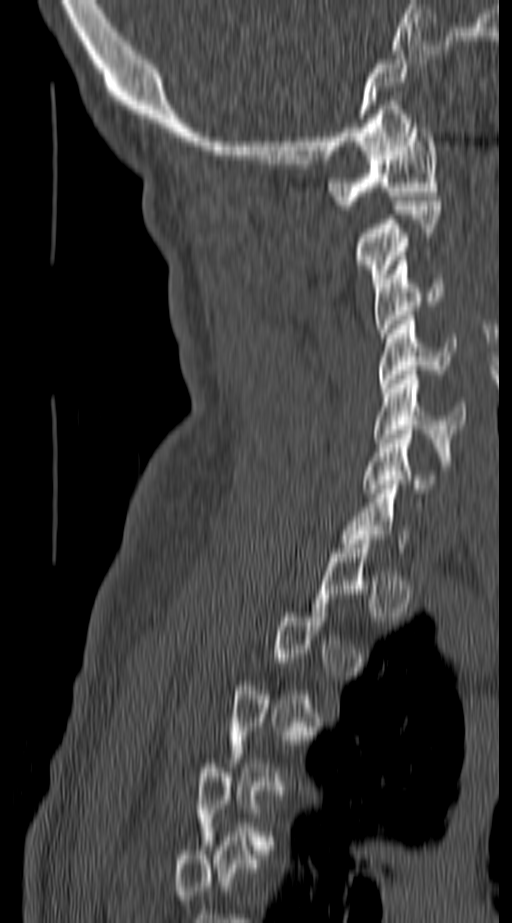
CT, spine; sagittal view
Each box given as x1,y1,x2,y2. A vertebra is boxed only from the first to the last slice where its cross-section is at least a third of its largest; slices outside that range leave it without a box. 6 vertebrae labeled — C1 at x1=327, y1=123, x2=439, y2=209; C2 at x1=352, y1=201, x2=439, y2=287; C3 at x1=374, y1=261, x2=446, y2=337; C4 at x1=378, y1=315, x2=454, y2=388; C5 at x1=374, y1=370, x2=466, y2=452; C6 at x1=363, y1=430, x2=439, y2=493.